CT; sagittal reformat; W/L 1800/400 HU; part of the image is constant black where the scan was masked
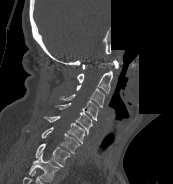
Boxes: x1:y1:x2:y2 in pixels.
This scan's labels start at C1 at the top and end at T1 at the bottom.
Vertebra bounding boxes:
- C1: 82:60:118:69
- C2: 77:71:112:93
- C3: 76:85:105:107
- C4: 59:94:98:121
- C5: 55:103:92:134
- C6: 43:116:84:144
- C7: 41:127:80:153
- T1: 35:143:70:166